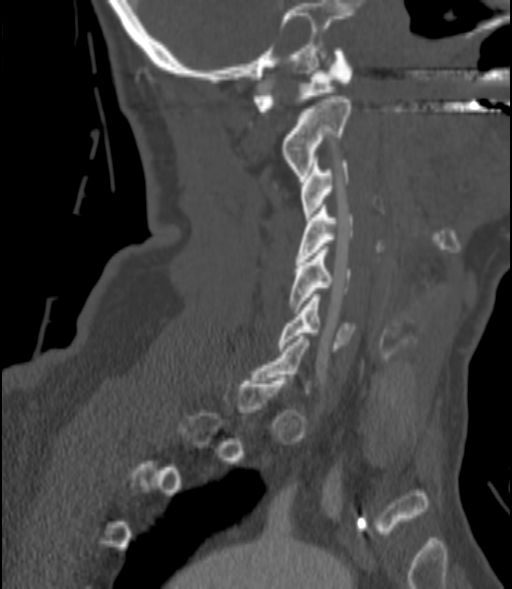 Spine CT · sagittal view · W/L 1800/400 HU · 512x589 px. Boxes: x1 y1 x2 y2 (pixel coords, space-separated). A vertebra is boxed only from the first to the last slice where its cross-section is at least a third of its largest; slices outside that range leave it without a box. Vertebrae labeled: C1 at 253 48 352 111, C2 at 282 96 351 178, C3 at 300 160 348 220, C4 at 296 205 353 261, C5 at 290 246 351 309, C6 at 278 294 354 351.